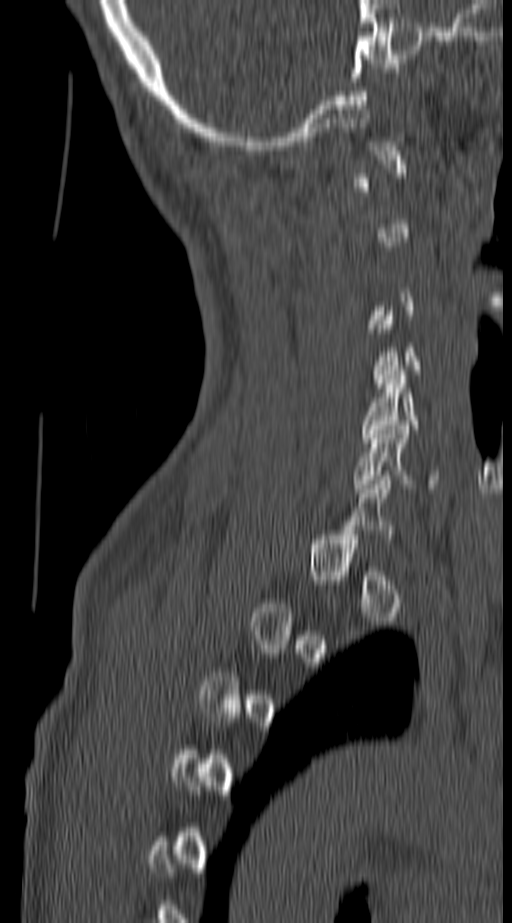

CT spine — sagittal view — bone window
A vertebra is boxed only from the first to the last slice where its cross-section is at least a third of its largest; slices outside that range leave it without a box.
<vertebrae><v name="C5" x1="361" y1="370" x2="443" y2="442"/><v name="C6" x1="352" y1="425" x2="439" y2="493"/></vertebrae>